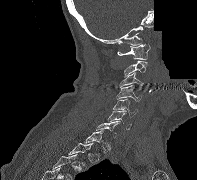

CT, spine · image width 197 mm · sagittal view · 197x180 px · a region is blanked to uniform black, ending in a straight edge
Box edges are left/top/right/bottom in pixels. A vertebra is boxed only from the first to the last slice where its cross-section is at least a third of its largest; slices outside that range leave it without a box. The labeled vertebrae in this slice are: C7 at left=96, top=121, right=120, bottom=137, C6 at left=107, top=110, right=131, bottom=129, C5 at left=113, top=99, right=138, bottom=118, C4 at left=116, top=85, right=141, bottom=101, C3 at left=119, top=72, right=149, bottom=91, C2 at left=123, top=60, right=147, bottom=77, C1 at left=117, top=43, right=150, bottom=59.